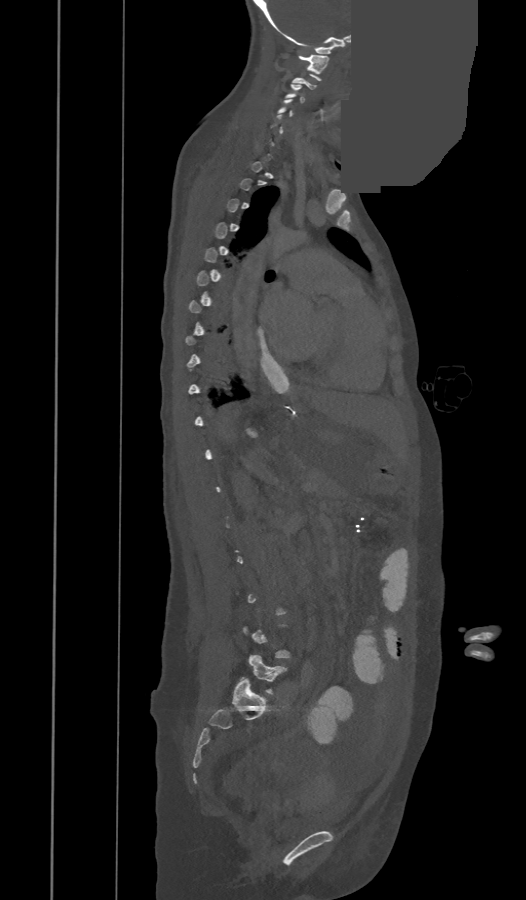
CT — sagittal view — a uniform gray block covers part of the image

Each vertebra is boxed only on the slices from the first to the last where its cross-section reaches a third of its largest, so a slice outside that range leaves it unboxed.
<vertebrae><v name="C1" x1="299" y1="54" x2="329" y2="73"/><v name="C3" x1="285" y1="84" x2="305" y2="102"/><v name="C4" x1="278" y1="99" x2="294" y2="115"/><v name="L5" x1="248" y1="655" x2="286" y2="694"/></vertebrae>